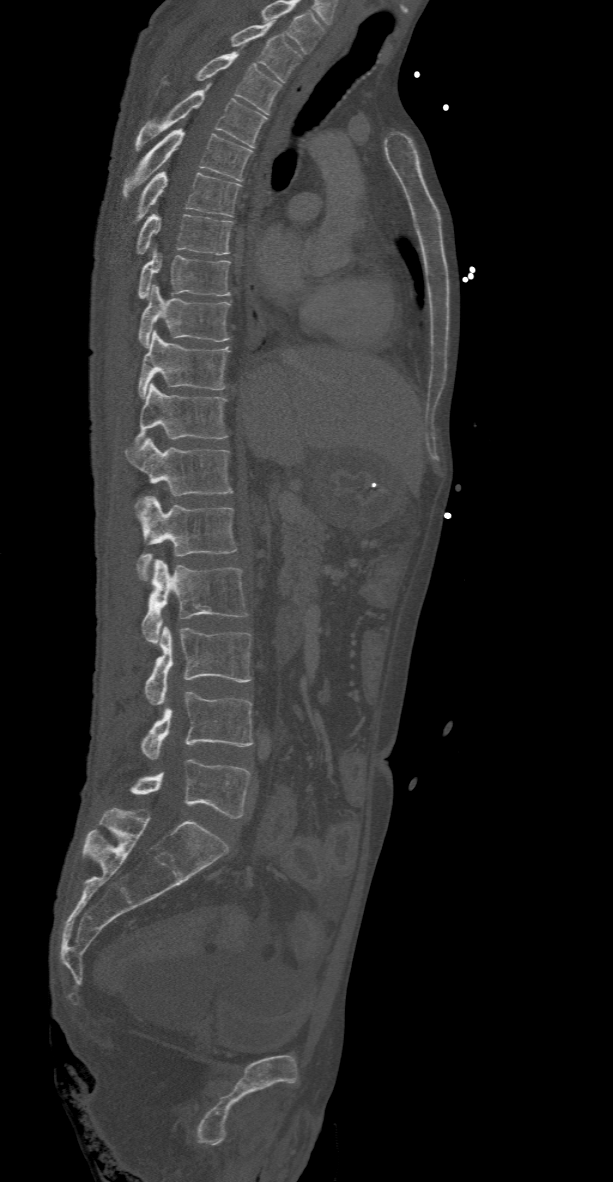

CT; sagittal reformat; 613x1182 px; the image is 368 mm wide. Boxes are given in columns x1, y1, x2, y2, the pixel coordinates of their top-left and bottom-right corners.
In this scan, the topmost labeled vertebra is T2 and the lowest is L5.
| vertebra | x1 | y1 | x2 | y2 |
|---|---|---|---|---|
| L5 | 129 | 759 | 251 | 818 |
| L4 | 140 | 692 | 252 | 758 |
| L3 | 145 | 626 | 252 | 705 |
| L2 | 141 | 559 | 248 | 643 |
| L1 | 137 | 496 | 237 | 581 |
| T12 | 125 | 437 | 233 | 506 |
| T11 | 134 | 382 | 227 | 446 |
| T10 | 138 | 331 | 230 | 398 |
| T9 | 138 | 286 | 230 | 346 |
| T8 | 138 | 249 | 230 | 298 |
| T7 | 137 | 214 | 233 | 255 |
| T6 | 132 | 171 | 241 | 223 |
| T5 | 121 | 129 | 252 | 198 |
| T4 | 134 | 84 | 267 | 150 |
| T3 | 195 | 51 | 281 | 113 |
| T2 | 230 | 21 | 301 | 81 |